Spine computed tomography — sagittal view — bone-window reconstruction — 164x404 px
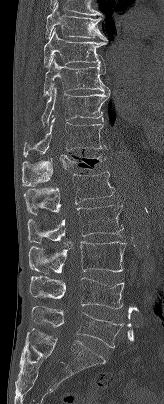

<vertebrae><v name="T7" x1="46" y1="3" x2="107" y2="41"/><v name="T8" x1="43" y1="28" x2="107" y2="67"/><v name="T9" x1="43" y1="55" x2="109" y2="96"/><v name="T10" x1="41" y1="83" x2="110" y2="126"/><v name="T11" x1="23" y1="116" x2="106" y2="156"/><v name="T12" x1="22" y1="148" x2="106" y2="185"/><v name="L1" x1="23" y1="171" x2="115" y2="214"/><v name="L2" x1="27" y1="204" x2="123" y2="244"/><v name="L3" x1="28" y1="241" x2="125" y2="274"/><v name="L4" x1="29" y1="276" x2="124" y2="309"/><v name="L5" x1="31" y1="306" x2="124" y2="348"/></vertebrae>